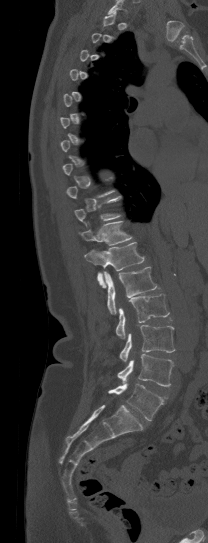

Computed tomography of the spine. sagittal reformat. 208 mm wide. 208x543 px. Boxes: x1:y1:x2:y2 in pixels.
Each vertebra is boxed only on the slices from the first to the last where its cross-section reaches a third of its largest, so a slice outside that range leaves it unboxed.
L5: 108:383:163:420
L4: 117:354:174:386
L3: 119:325:174:361
L2: 116:294:169:338
L1: 104:266:157:314
T12: 84:242:144:288
T11: 81:221:132:245